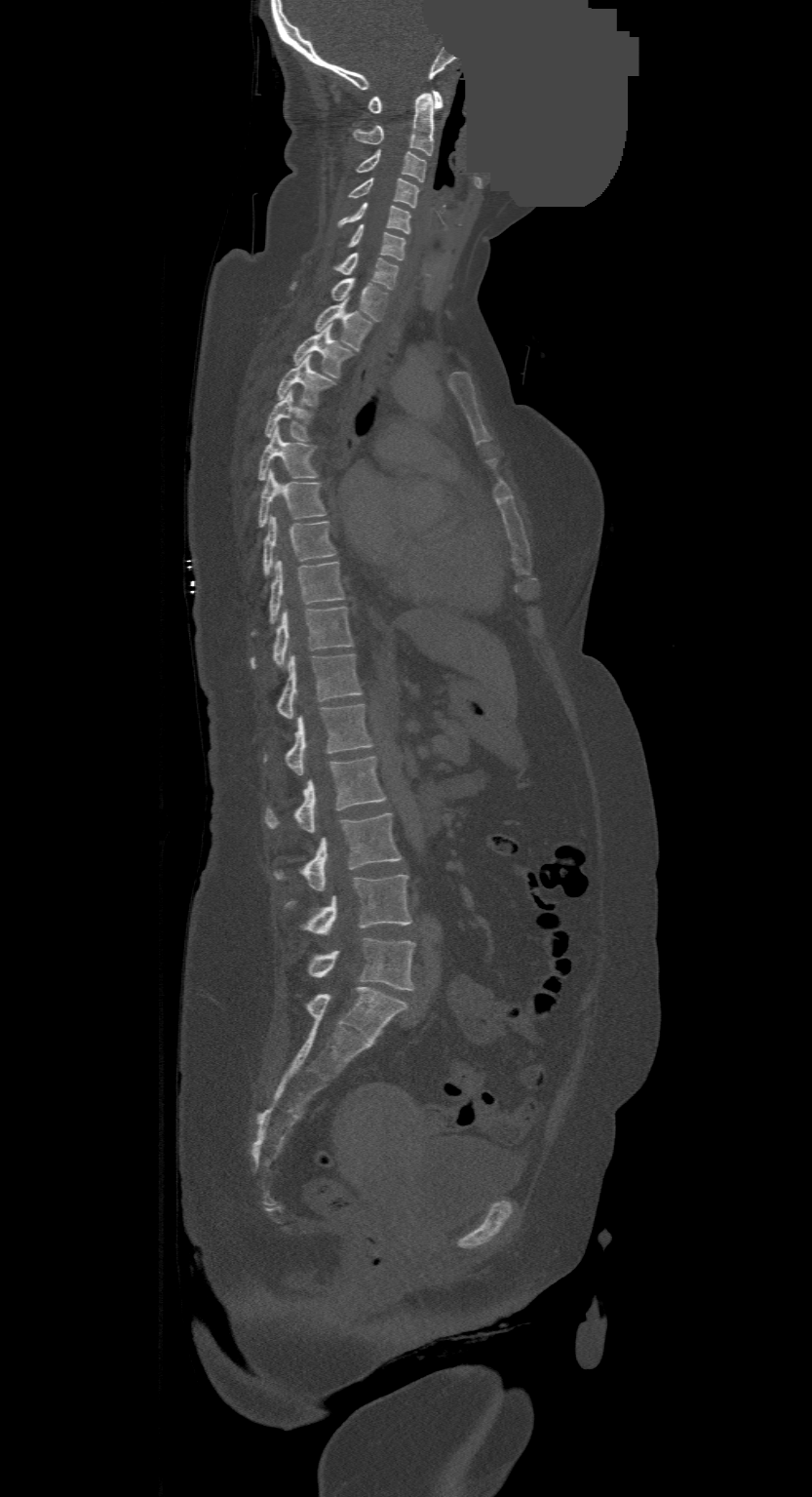 CT spine · sagittal view · Bone window (WL 400, WW 1800) · 812x1497 px · part of the image has been replaced by a constant value
In this scan, the topmost labeled vertebra is C1 and the lowest is L4.
<vertebrae><v name="C1" x1="368" y1="91" x2="444" y2="113"/><v name="C2" x1="352" y1="93" x2="436" y2="155"/><v name="C3" x1="356" y1="150" x2="426" y2="181"/><v name="C4" x1="349" y1="177" x2="418" y2="208"/><v name="C5" x1="339" y1="202" x2="410" y2="233"/><v name="C6" x1="347" y1="224" x2="406" y2="259"/><v name="C7" x1="333" y1="253" x2="399" y2="289"/><v name="T1" x1="290" y1="278" x2="388" y2="321"/><v name="T2" x1="314" y1="301" x2="373" y2="350"/><v name="T3" x1="291" y1="326" x2="353" y2="378"/><v name="T4" x1="276" y1="356" x2="335" y2="406"/><v name="T5" x1="265" y1="390" x2="313" y2="442"/><v name="T6" x1="258" y1="428" x2="318" y2="479"/><v name="T7" x1="258" y1="470" x2="326" y2="528"/><v name="T8" x1="263" y1="516" x2="335" y2="576"/><v name="T9" x1="252" y1="561" x2="345" y2="635"/><v name="T10" x1="251" y1="607" x2="353" y2="669"/><v name="T11" x1="276" y1="653" x2="361" y2="718"/><v name="T12" x1="263" y1="704" x2="370" y2="774"/><v name="L1" x1="265" y1="756" x2="386" y2="832"/><v name="L2" x1="273" y1="813" x2="402" y2="890"/><v name="L3" x1="284" y1="875" x2="411" y2="934"/><v name="L4" x1="308" y1="938" x2="414" y2="989"/></vertebrae>